CT spine. sagittal view. Bone window (WL 400, WW 1800). 218 mm across the image. 18 vertebrae labeled in this scan
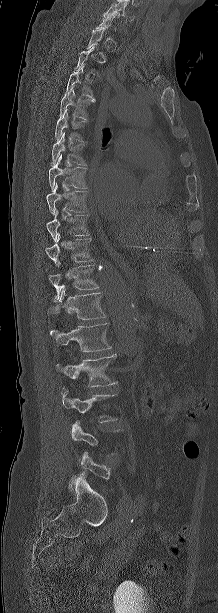

Box edges are left/top/right/bottom in pixels.
Each vertebra is boxed only on the slices from the first to the last where its cross-section reaches a third of its largest, so a slice outside that range leaves it unboxed.
| vertebra | x1 | y1 | x2 | y2 |
|---|---|---|---|---|
| T1 | 84 | 27 | 111 | 50 |
| T3 | 64 | 65 | 92 | 95 |
| T4 | 59 | 85 | 95 | 120 |
| T5 | 54 | 109 | 88 | 142 |
| T6 | 50 | 133 | 86 | 165 |
| T7 | 49 | 154 | 87 | 188 |
| T8 | 46 | 184 | 87 | 214 |
| T9 | 46 | 210 | 88 | 241 |
| T10 | 45 | 233 | 92 | 265 |
| T11 | 49 | 265 | 98 | 301 |
| T12 | 45 | 289 | 106 | 319 |
| L1 | 50 | 323 | 111 | 352 |
| L2 | 55 | 354 | 117 | 387 |
| L3 | 61 | 386 | 117 | 422 |